Spine computed tomography · sagittal view · scan covers 17 annotated vertebrae
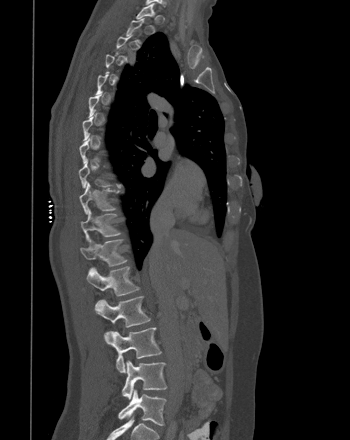

Coordinates as <box>x1,y1,x2,y2</box>. A vertebra is boxed only from the first to the last slice where its cross-section is at least a third of its largest; slices outside that range leave it without a box. The labeled vertebrae in this slice are: T10 at <box>79,182,118,213</box>, T11 at <box>81,209,120,240</box>, T12 at <box>80,239,127,266</box>, L1 at <box>86,266,139,296</box>, L2 at <box>95,296,150,333</box>, L3 at <box>104,327,161,372</box>, L4 at <box>122,360,167,399</box>, L5 at <box>118,389,166,425</box>.